Spine CT · sagittal view · some of the image was removed or blocked out with constant pixels
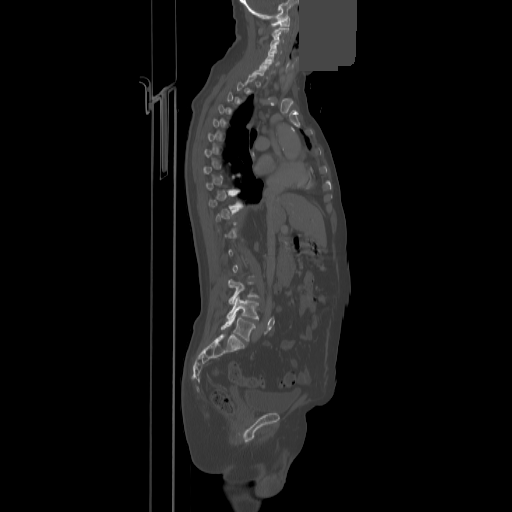 Boxes are given in columns x1, y1, x2, y2, the pixel coordinates of their top-left and bottom-right corners.
A vertebra is boxed only from the first to the last slice where its cross-section is at least a third of its largest; slices outside that range leave it without a box.
| vertebra | x1 | y1 | x2 | y2 |
|---|---|---|---|---|
| C1 | 271 | 16 | 289 | 26 |
| C2 | 272 | 26 | 288 | 37 |
| C3 | 270 | 33 | 283 | 46 |
| C4 | 268 | 45 | 281 | 54 |
| C5 | 265 | 53 | 278 | 65 |
| C7 | 253 | 66 | 267 | 76 |
| T10 | 208 | 190 | 240 | 208 |
| L3 | 228 | 279 | 258 | 304 |
| L4 | 226 | 296 | 258 | 319 |
| L5 | 221 | 315 | 255 | 341 |